Spine CT — image 152 mm wide — sagittal view
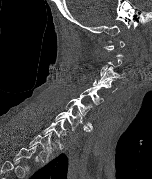 Boxes are (x1, y1, x2, y2) in pixels.
Each vertebra is boxed only on the slices from the first to the last where its cross-section reaches a third of its largest, so a slice outside that range leaves it unboxed.
Labels in this scan begin with C1 at the top and end with T2 at the bottom.
Vertebra bounding boxes:
- C1: (103, 38, 124, 57)
- C3: (98, 66, 123, 83)
- C4: (93, 77, 117, 92)
- C5: (80, 86, 103, 106)
- C6: (65, 97, 93, 131)
- C7: (54, 107, 90, 132)
- T1: (42, 118, 68, 150)
- T2: (29, 132, 54, 163)